Spine computed tomography · Sagittal slice 119/317 · W/L 1800/400 HU · 18 vertebrae labeled in this scan
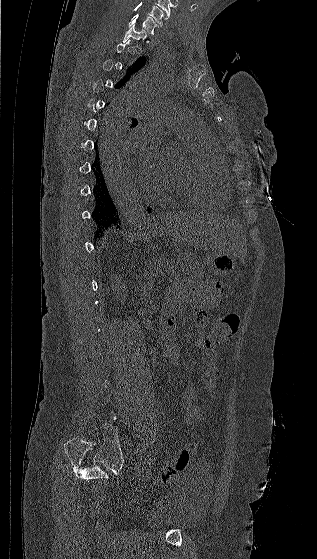
Each box given as x1,y1,x2,y2.
A vertebra is boxed only from the first to the last slice where its cross-section is at least a third of its largest; slices outside that range leave it without a box.
The highest labeled vertebra in this scan is C7; the lowest is L5.
Vertebra bounding boxes:
- T1: x1=122, y1=25, x2=147, y2=42
- C7: x1=128, y1=14, x2=160, y2=34